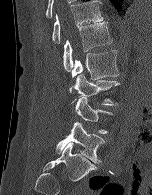
CT spine — sagittal view — 152 mm image width
Box edges are left/top/right/bottom in pixels.
Vertebra bounding boxes:
- L5: left=56, top=122, right=104, bottom=163
- L4: left=75, top=97, right=112, bottom=133
- L3: left=71, top=73, right=120, bottom=105
- L2: left=69, top=50, right=119, bottom=92
- L1: left=63, top=21, right=112, bottom=71
- T12: left=51, top=0, right=104, bottom=44